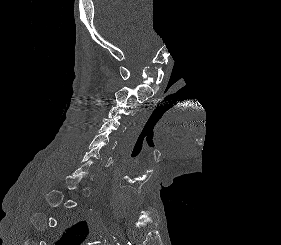
Spine CT; sagittal view; 281x245 px; a region of this slice is masked with a uniform fill
A vertebra is boxed only from the first to the last slice where its cross-section is at least a third of its largest; slices outside that range leave it without a box.
<vertebrae><v name="C1" x1="119" y1="66" x2="163" y2="93"/><v name="C2" x1="115" y1="84" x2="153" y2="104"/><v name="C3" x1="108" y1="101" x2="138" y2="117"/><v name="C4" x1="98" y1="116" x2="126" y2="132"/><v name="C5" x1="89" y1="131" x2="117" y2="148"/><v name="C6" x1="80" y1="143" x2="115" y2="166"/></vertebrae>